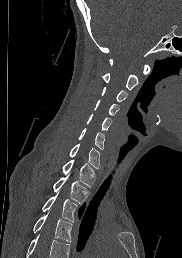 CT. sagittal view

Each vertebra maps to its box as [x1, y1, x2, y2], the pixel coordinates of its top-left and bottom-right corners.
A vertebra cut off by the bottom edge of the scan is not labeled and has no box.
{"vertebrae":{"C1":[109,59,149,74],"C2":[102,73,138,90],"C3":[101,86,126,102],"C4":[94,99,119,116],"C5":[86,113,111,131],"C6":[78,128,104,149],"C7":[69,143,100,168],"T1":[62,159,94,186],"T2":[52,175,88,203],"T3":[41,193,77,221],"T4":[33,212,72,241]}}